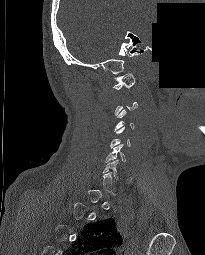 Spine computed tomography · sagittal reformat · 205x255 px · 205 mm image width · part of the image has been replaced by a constant value
Boxes are given in columns x1, y1, x2, y2, the pixel coordinates of their top-left and bottom-right corners.
Each vertebra is boxed only on the slices from the first to the last where its cross-section reaches a third of its largest, so a slice outside that range leaves it unboxed.
| vertebra | x1 | y1 | x2 | y2 |
|---|---|---|---|---|
| C1 | 113 | 73 | 135 | 89 |
| C5 | 105 | 144 | 125 | 162 |